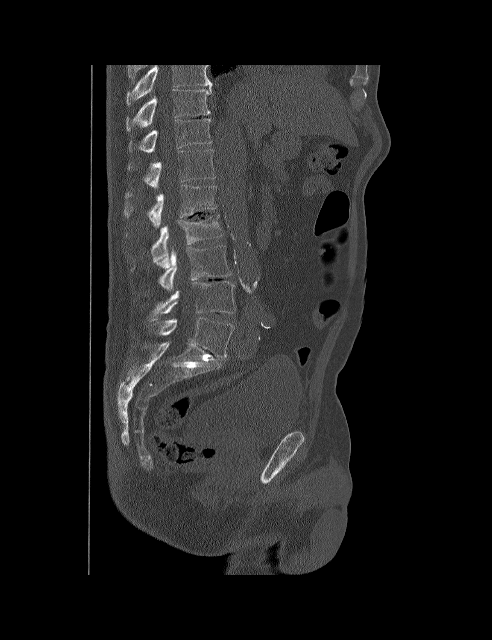
CT, spine — sagittal view — 492x640 px

Each box given as x1,y1,x2,y2.
The highest labeled vertebra in this scan is T10; the lowest is L5.
L5: x1=154, y1=317, x2=233, y2=357
L4: x1=147, y1=281, x2=236, y2=321
L3: x1=156, y1=245, x2=232, y2=292
L2: x1=151, y1=215, x2=222, y2=262
L1: x1=123, y1=185, x2=216, y2=228
T12: x1=128, y1=149, x2=215, y2=189
T11: x1=128, y1=119, x2=211, y2=152
T10: x1=126, y1=89, x2=211, y2=132